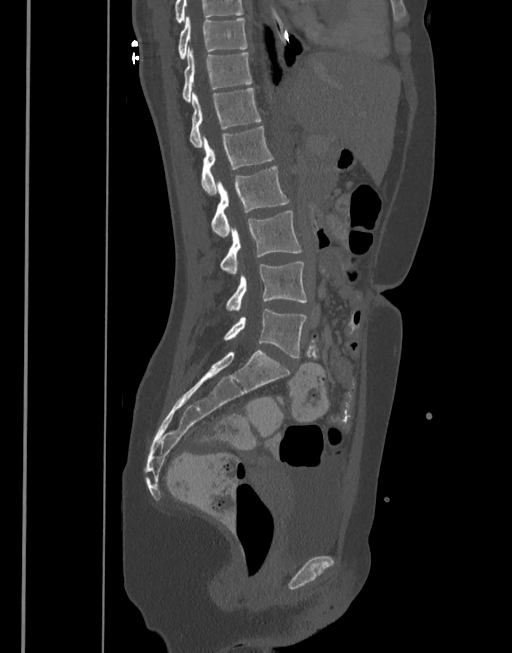

Spine CT · sagittal view · W/L 1800/400 HU
The highest labeled vertebra in this scan is T10; the lowest is L5.
<vertebrae><v name="T10" x1="178" y1="16" x2="247" y2="59"/><v name="T11" x1="182" y1="46" x2="251" y2="102"/><v name="T12" x1="189" y1="88" x2="261" y2="147"/><v name="L1" x1="201" y1="126" x2="273" y2="195"/><v name="L2" x1="210" y1="166" x2="289" y2="236"/><v name="L3" x1="220" y1="210" x2="302" y2="274"/><v name="L4" x1="225" y1="262" x2="306" y2="309"/><v name="L5" x1="224" y1="309" x2="307" y2="357"/></vertebrae>